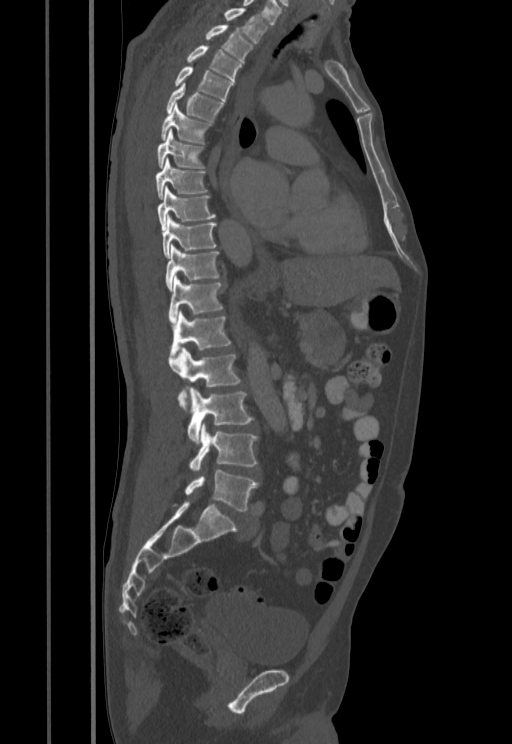
CT spine — sagittal view

Box values are [left, top, right, bottom] in pixels.
{"vertebrae":{"T1":[224,8,268,43],"T2":[205,25,252,62],"T3":[187,45,242,81],"T4":[174,66,233,102],"T5":[165,83,224,121],"T6":[161,104,212,144],"T7":[157,129,205,168],"T8":[155,158,207,199],"T9":[157,186,216,230],"T10":[162,215,216,258],"T11":[165,245,219,290],"T12":[169,276,223,323],"L1":[170,311,231,356],"L2":[169,347,240,411],"L3":[187,387,253,443],"L4":[189,423,258,470],"L5":[184,470,259,511]}}